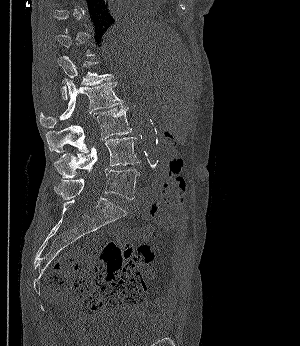
Computed tomography of the spine. sagittal view. bone-window reconstruction
Not every vertebra on this slice has a box: a vertebra is boxed only from the first to the last slice where its cross-section is at least a third of its largest, and this slice is outside that range for at least one of them.
<vertebrae><v name="L1" x1="57" y1="56" x2="112" y2="99"/><v name="L2" x1="40" y1="78" x2="123" y2="127"/><v name="L3" x1="45" y1="105" x2="131" y2="152"/><v name="L4" x1="53" y1="137" x2="139" y2="177"/><v name="L5" x1="54" y1="168" x2="139" y2="200"/></vertebrae>